CT spine; Sagittal slice 255/512; 500 mm image width
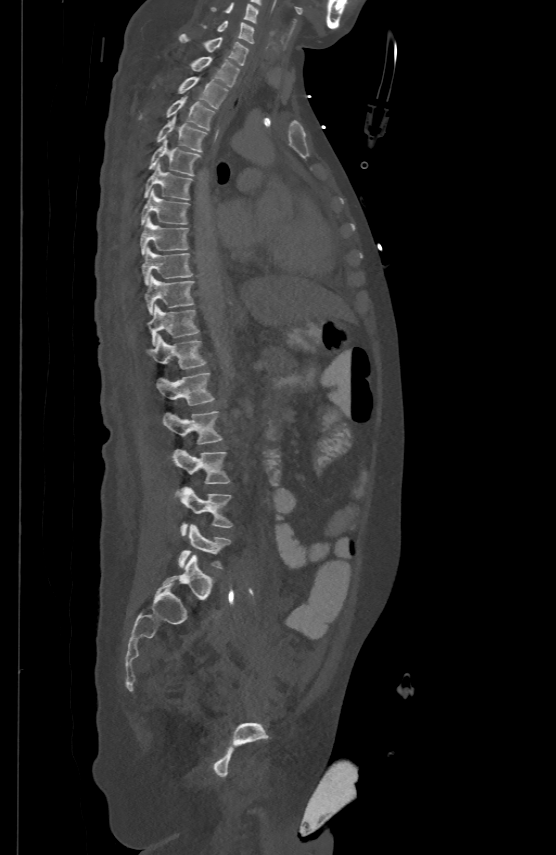 Box edges are left/top/right/bottom in pixels.
Vertebra bounding boxes:
- L5: left=178, top=524, right=230, bottom=569
- L4: left=177, top=487, right=232, bottom=535
- L3: left=173, top=450, right=230, bottom=483
- L2: left=162, top=410, right=223, bottom=444
- L1: left=156, top=372, right=214, bottom=404
- T12: left=148, top=335, right=205, bottom=368
- T11: left=148, top=304, right=199, bottom=344
- T10: left=144, top=274, right=193, bottom=313
- T9: left=142, top=246, right=192, bottom=284
- T8: left=140, top=216, right=188, bottom=253
- T7: left=141, top=189, right=189, bottom=224
- T6: left=144, top=162, right=192, bottom=199
- T5: left=149, top=139, right=200, bottom=175
- T4: left=156, top=115, right=206, bottom=151
- T3: left=139, top=94, right=215, bottom=129
- T2: left=178, top=75, right=228, bottom=108
- T1: left=190, top=55, right=239, bottom=85
- C7: left=179, top=33, right=247, bottom=64
- C6: left=202, top=20, right=253, bottom=42
- C5: left=212, top=2, right=258, bottom=22